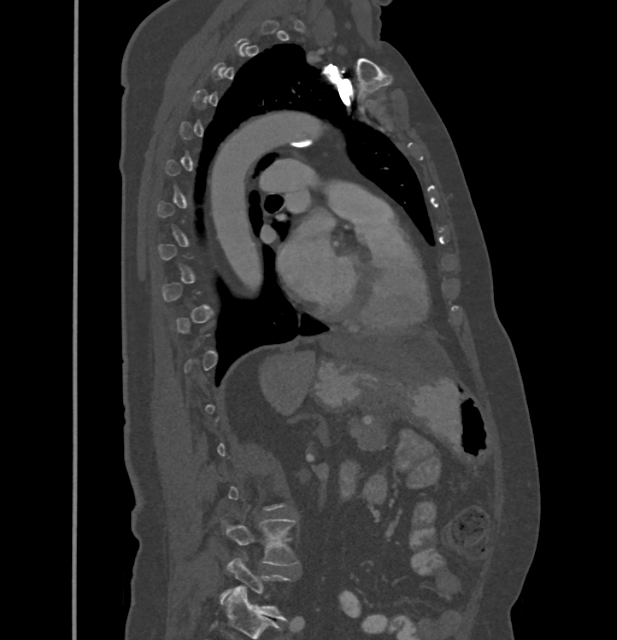

CT · sagittal view · 617x640 px
Boxes below are [x1, y1, x2, y2] in pixels.
Each vertebra is boxed only on the slices from the first to the last where its cross-section reaches a third of its largest, so a slice outside that range leaves it unboxed.
{"vertebrae":{"L5":[222,559,287,619],"L4":[225,519,298,565]}}